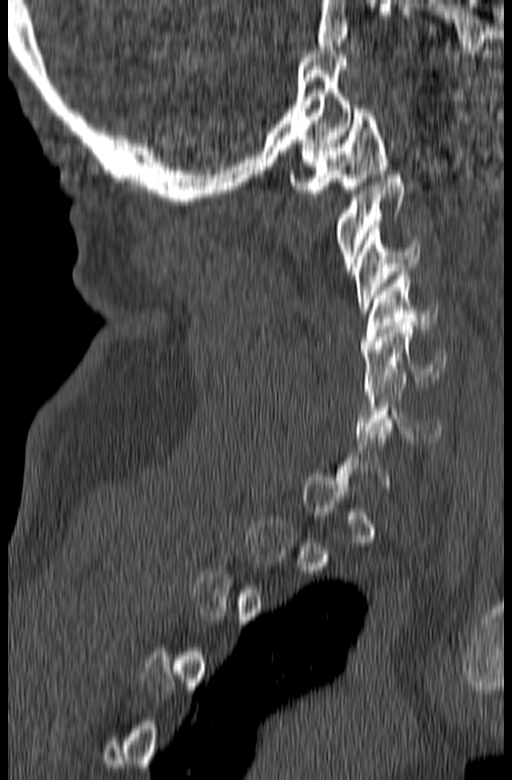

Spine CT — the image is 165 mm wide — sagittal view — Bone window (WL 400, WW 1800)
Not every vertebra on this slice has a box: a vertebra is boxed only from the first to the last slice where its cross-section is at least a third of its largest, and this slice is outside that range for at least one of them.
<vertebrae><v name="C1" x1="290" y1="105" x2="388" y2="197"/><v name="C2" x1="333" y1="171" x2="404" y2="271"/><v name="C3" x1="353" y1="225" x2="419" y2="313"/><v name="C4" x1="361" y1="272" x2="438" y2="348"/><v name="C5" x1="362" y1="322" x2="446" y2="391"/><v name="C6" x1="355" y1="376" x2="442" y2="441"/></vertebrae>